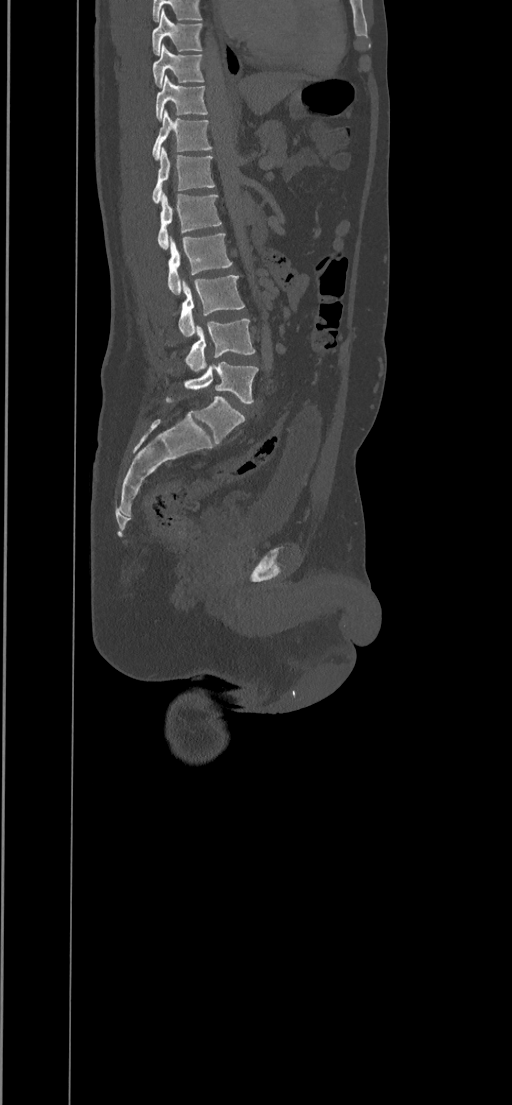 CT, spine; sagittal reformat
<vertebrae><v name="L5" x1="184" y1="362" x2="258" y2="404"/><v name="L4" x1="185" y1="319" x2="255" y2="372"/><v name="L3" x1="178" y1="275" x2="244" y2="337"/><v name="L2" x1="167" y1="234" x2="232" y2="294"/><v name="L1" x1="158" y1="192" x2="222" y2="250"/><v name="T12" x1="152" y1="147" x2="215" y2="203"/><v name="T11" x1="152" y1="109" x2="212" y2="160"/><v name="T10" x1="156" y1="75" x2="208" y2="120"/><v name="T9" x1="152" y1="44" x2="204" y2="88"/><v name="T8" x1="152" y1="8" x2="203" y2="55"/></vertebrae>